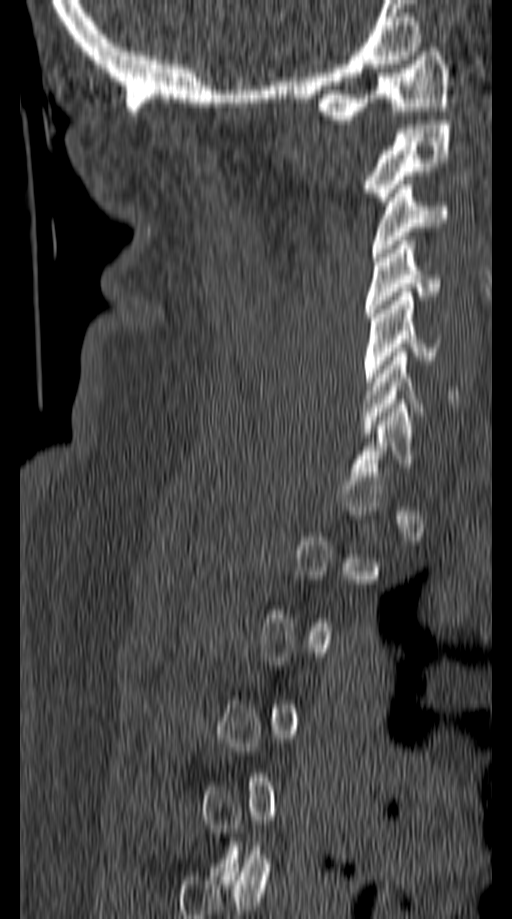 CT spine · sagittal reformat

Bounding boxes as [x1, y1, x2, y2] in pixel coordinates.
Not every vertebra on this slice has a box: a vertebra is boxed only from the first to the last slice where its cross-section is at least a third of its largest, and this slice is outside that range for at least one of them.
C1: [316, 43, 450, 119]
C2: [362, 120, 450, 205]
C3: [372, 180, 450, 257]
C4: [365, 241, 440, 317]
C5: [363, 292, 442, 386]
C6: [362, 352, 458, 433]